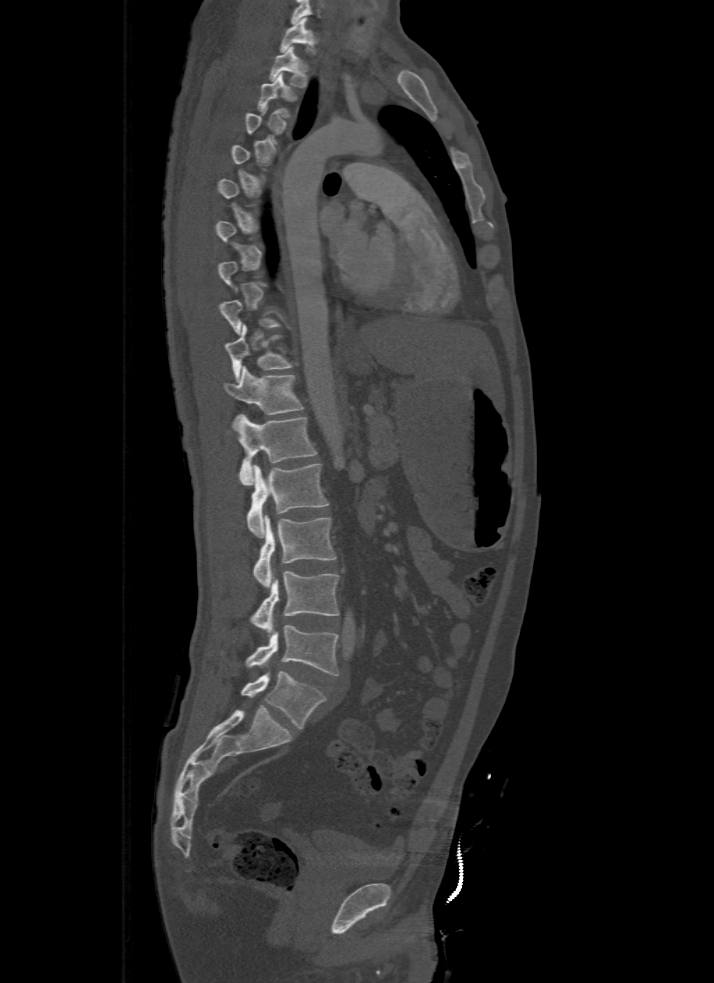
CT, spine. sagittal view. Columns x1, y1, x2, y2 give each box's top-left and bottom-right pixels.
A vertebra gets a box only on the slices from the first to the last where its cross-section is at least a third of its largest; on a slice outside that range it gets none.
Labels in this scan begin with T1 at the top and end with L5 at the bottom.
| vertebra | x1 | y1 | x2 | y2 |
|---|---|---|---|---|
| L5 | 241 | 670 | 325 | 728 |
| L4 | 220 | 625 | 339 | 675 |
| L3 | 248 | 570 | 339 | 628 |
| L2 | 253 | 515 | 337 | 588 |
| L1 | 247 | 463 | 330 | 537 |
| T12 | 239 | 415 | 317 | 485 |
| T11 | 225 | 366 | 303 | 432 |
| T10 | 226 | 325 | 295 | 381 |
| T3 | 257 | 73 | 292 | 117 |
| T2 | 268 | 46 | 309 | 88 |
| T1 | 280 | 17 | 317 | 55 |